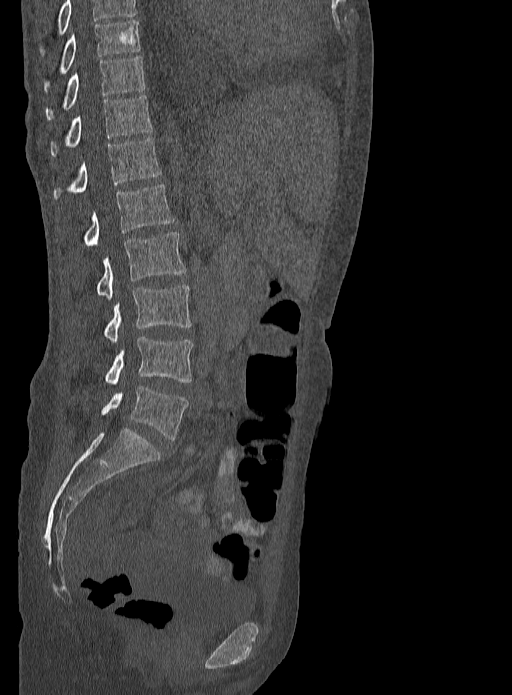

CT. sagittal reformat. W/L 1800/400 HU

In this scan, the topmost labeled vertebra is T9 and the lowest is L5.
<vertebrae><v name="T9" x1="43" y1="20" x2="140" y2="91"/><v name="T10" x1="46" y1="57" x2="145" y2="120"/><v name="T11" x1="50" y1="95" x2="152" y2="156"/><v name="T12" x1="54" y1="138" x2="162" y2="199"/><v name="L1" x1="83" y1="185" x2="174" y2="247"/><v name="L2" x1="97" y1="232" x2="186" y2="299"/><v name="L3" x1="104" y1="284" x2="191" y2="342"/><v name="L4" x1="104" y1="337" x2="192" y2="385"/><v name="L5" x1="101" y1="386" x2="188" y2="440"/></vertebrae>